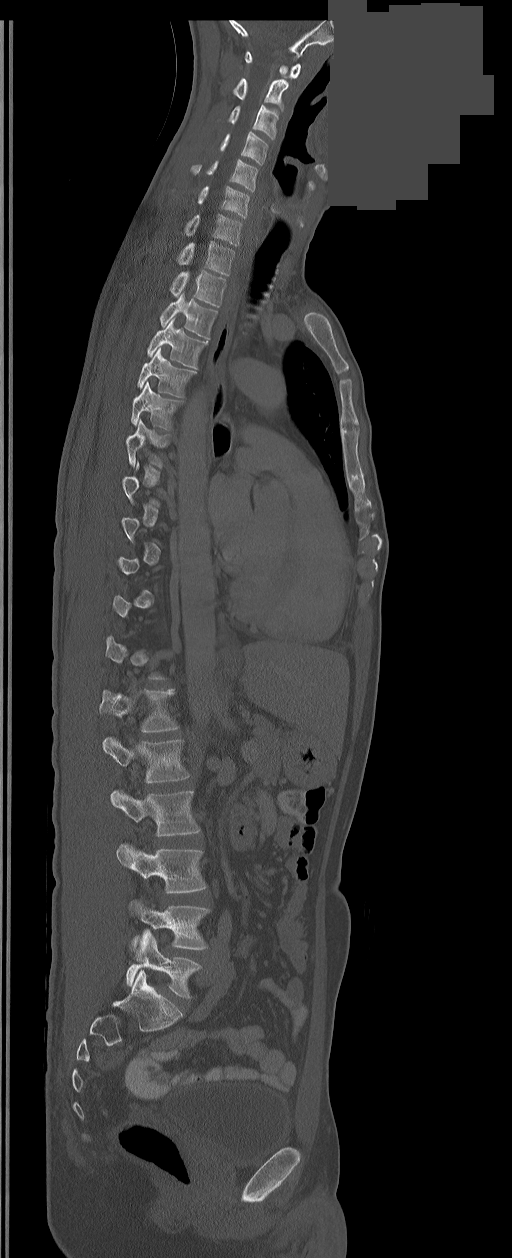 CT spine · sagittal view · W/L 1800/400 HU · 512x1258 px · a uniform gray block covers part of the image
Boxes: x1:y1:x2:y2 in pixels.
Not every vertebra on this slice has a box: a vertebra is boxed only from the first to the last slice where its cross-section is at least a third of its largest, and this slice is outside that range for at least one of them.
In these labels the spine has an L6, a sixth lumbar vertebra below L5.
C1: 245:52:301:78
C2: 233:78:288:110
C3: 228:104:279:140
C4: 220:132:267:165
C5: 192:160:257:191
C6: 198:186:249:217
C7: 185:214:241:245
T1: 177:242:233:276
T2: 170:271:226:306
T3: 160:292:217:339
T4: 147:318:207:368
T5: 137:348:195:397
T6: 131:382:181:429
T7: 126:420:169:468
L1: 100:689:178:732
L2: 103:737:189:783
L3: 110:790:200:836
L4: 116:844:205:893
L5: 129:900:208:949
L6: 126:929:200:998